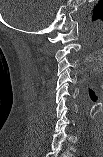

CT, spine; 103 mm wide; sagittal view
Boxes are (x1, y1, x2, y2) in pixels. This scan's labels start at C1 at the top and end at C7 at the bottom. The labeled vertebrae in this slice are: C1 at (48, 21, 78, 43), C2 at (55, 43, 80, 61), C3 at (57, 56, 78, 75), C4 at (56, 68, 76, 89), C5 at (56, 83, 78, 103), C6 at (56, 97, 77, 117), C7 at (54, 111, 74, 132).